Computed tomography of the spine — sagittal plane, index 361 — W/L 1800/400 HU — 512x929 px
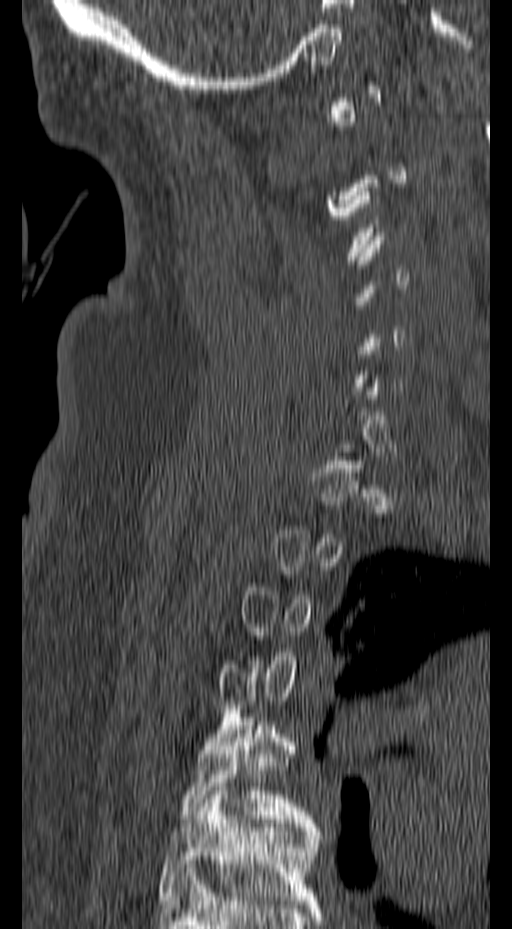
Boxes: x1 y1 x2 y2 (pixel coords, space-separated).
A vertebra gets a box only on the slices from the first to the last where its cross-section is at least a third of its largest; on a slice outside that range it gets none.
T5: 180 717 315 827
T6: 158 787 320 904